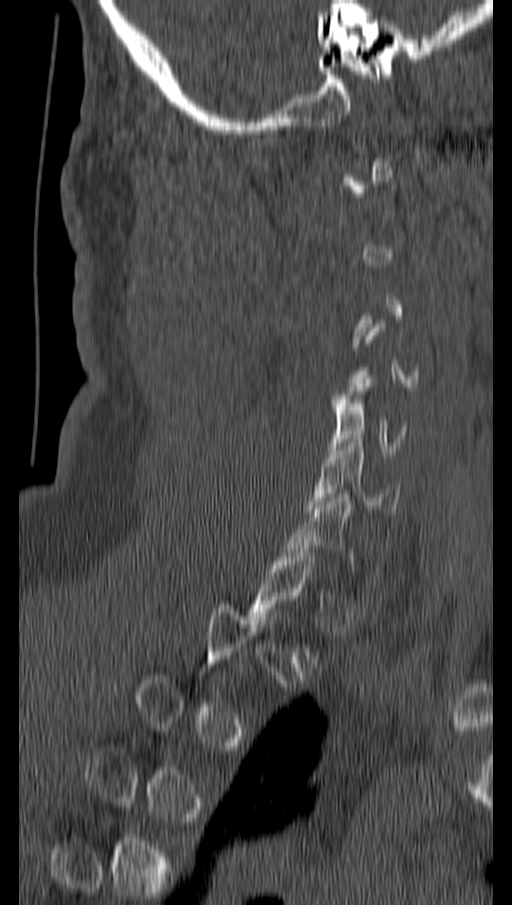
Spine CT; sagittal reformat; bone-window reconstruction; 512x905 px
Each row gives a vertebra's box as x1, y1, x2, y2 in pixels: top-left corner, then bottom-right corner.
Each vertebra is boxed only on the slices from the first to the last where its cross-section reaches a third of its largest, so a slice outside that range leaves it unboxed.
| vertebra | x1 | y1 | x2 | y2 |
|---|---|---|---|---|
| C5 | 330 | 383 | 406 | 453 |
| C6 | 305 | 435 | 400 | 513 |